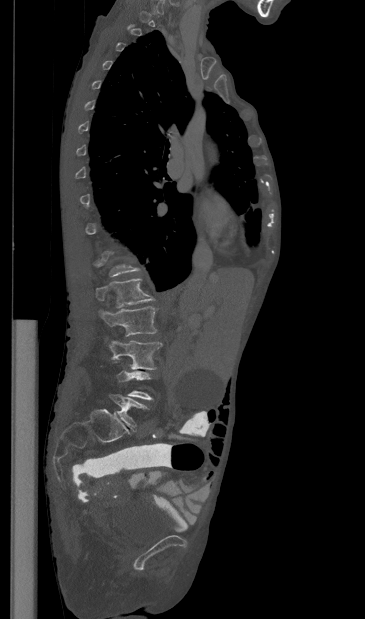

CT; sagittal view; 365x619 px
Coordinates as <box>x1,y1,x2,y2</box>. A vertebra is boxed only from the first to the last slice where its cross-section is at least a third of its largest; slices outside that range leave it without a box. 4 vertebrae labeled — L1 at <box>95,278,154,307</box>; L2 at <box>99,306,157,336</box>; L3 at <box>109,340,162,369</box>; L5 at <box>110,394,147,430</box>.